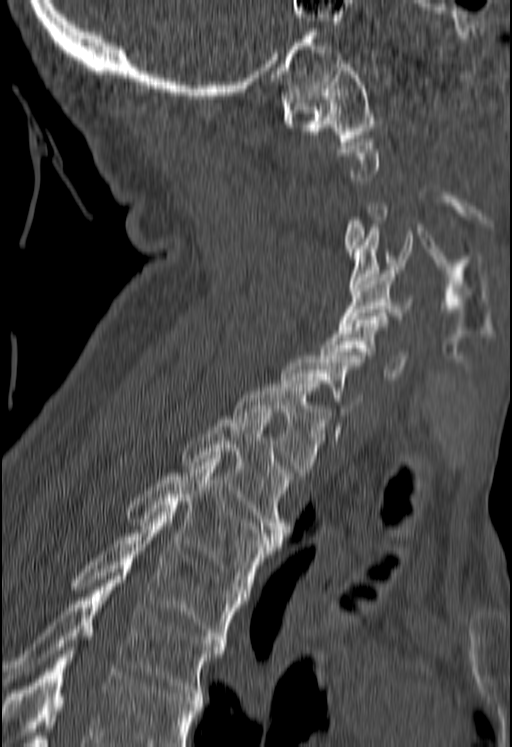

CT spine · sagittal reformat · bone-window reconstruction
Boxes: x1:y1:x2:y2 in pixels.
Not every vertebra on this slice has a box: a vertebra is boxed only from the first to the last slice where its cross-section is at least a third of its largest, and this slice is outside that range for at least one of them.
No box is given to a vertebra that the bottom edge of the scan cuts off.
C1: 282:60:375:141
C4: 348:228:412:291
C5: 338:270:413:326
C6: 322:316:407:379
T1: 234:380:331:475
T2: 181:416:293:539
T3: 126:459:279:593
T4: 69:516:245:643
T5: 3:572:225:696